CT — 246 mm across the image — sagittal view — 246x593 px
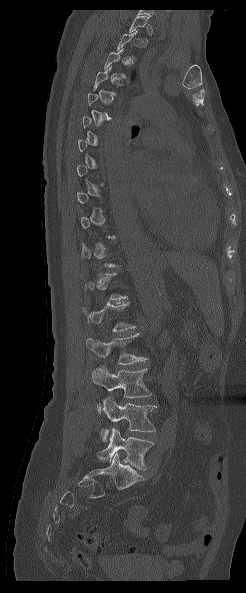

Each box given as x1,y1,x2,y2.
Not every vertebra on this slice has a box: a vertebra is boxed only from the first to the last slice where its cross-section is at least a third of its largest, and this slice is outside that range for at least one of them.
Vertebra bounding boxes:
- L2: x1=86, y1=333, x2=147, y2=364
- L3: x1=92, y1=366, x2=151, y2=414
- L4: x1=99, y1=397, x2=156, y2=441
- L5: x1=97, y1=428, x2=153, y2=469